CT · sagittal view
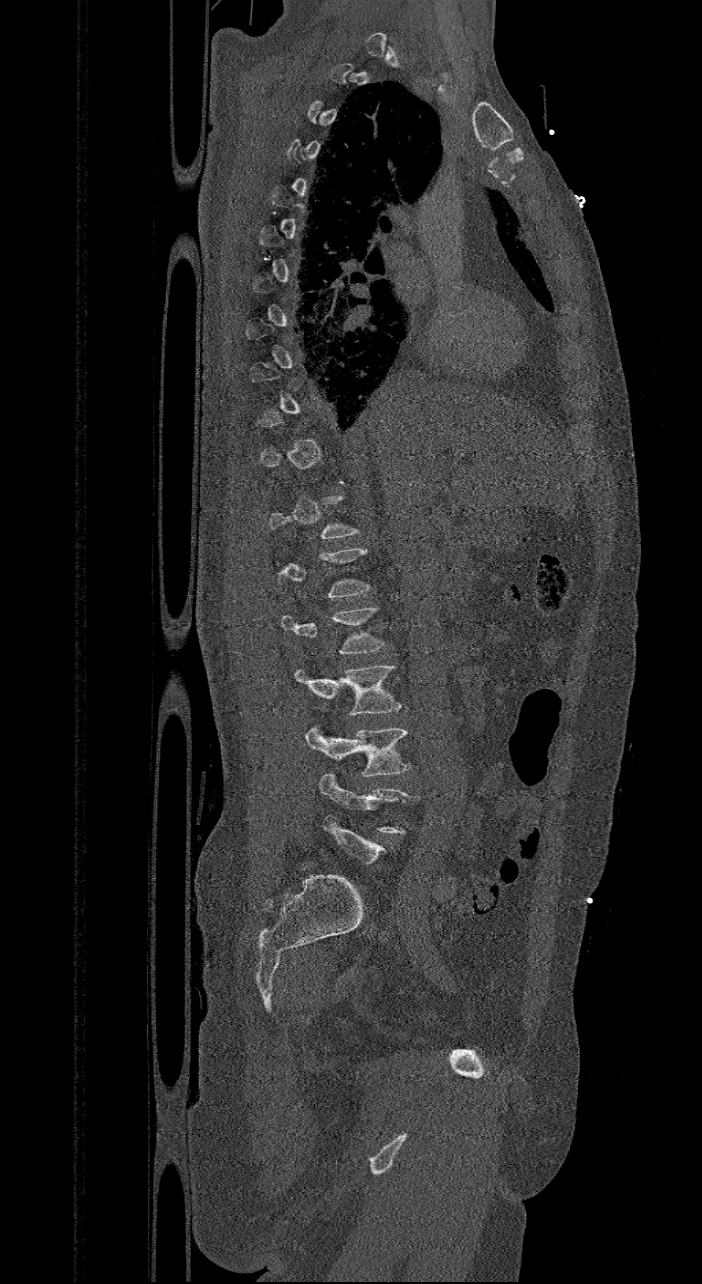 Box edges are left/top/right/bottom in pixels.
A vertebra gets a box only on the slices from the first to the last where its cross-section is at least a third of its largest; on a slice outside that range it gets none.
Vertebra bounding boxes:
- L4: left=304, top=728, right=410, bottom=777
- L3: left=295, top=666, right=401, bottom=715
- L2: left=281, top=607, right=384, bottom=653